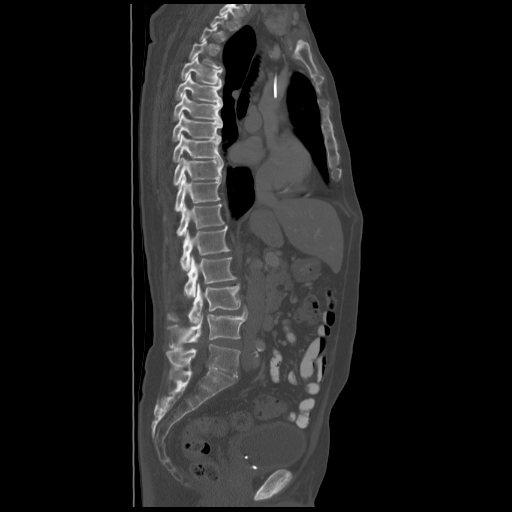 Spine CT · sagittal view · W/L 1800/400 HU · 512x512 px
A vertebra is boxed only from the first to the last slice where its cross-section is at least a third of its largest; slices outside that range leave it without a box.
<vertebrae><v name="T4" x1="189" y1="41" x2="222" y2="69"/><v name="T5" x1="181" y1="56" x2="222" y2="84"/><v name="T6" x1="176" y1="73" x2="222" y2="102"/><v name="T7" x1="173" y1="92" x2="222" y2="123"/><v name="T8" x1="172" y1="113" x2="222" y2="141"/><v name="T9" x1="172" y1="134" x2="222" y2="162"/><v name="T10" x1="173" y1="157" x2="223" y2="185"/><v name="T11" x1="175" y1="176" x2="220" y2="211"/><v name="T12" x1="177" y1="202" x2="224" y2="235"/><v name="L1" x1="180" y1="225" x2="230" y2="270"/><v name="L2" x1="184" y1="256" x2="236" y2="298"/><v name="L3" x1="167" y1="282" x2="240" y2="323"/><v name="L4" x1="167" y1="309" x2="247" y2="349"/><v name="L5" x1="166" y1="344" x2="240" y2="377"/></vertebrae>